Computed tomography of the spine. sagittal view. bone window. 531x786 px
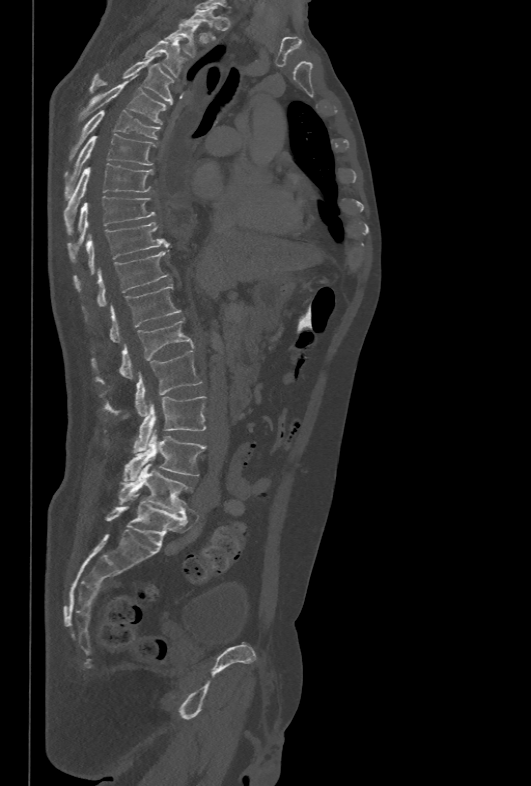
Box edges are left/top/right/bottom in pixels.
| vertebra | x1 | y1 | x2 | y2 |
|---|---|---|---|---|
| L5 | 119 | 463 | 191 | 515 |
| L4 | 123 | 429 | 205 | 481 |
| L3 | 133 | 396 | 205 | 452 |
| L2 | 107 | 350 | 201 | 415 |
| L1 | 92 | 319 | 193 | 381 |
| T12 | 110 | 284 | 182 | 343 |
| T11 | 96 | 248 | 169 | 306 |
| T10 | 74 | 222 | 168 | 290 |
| T9 | 66 | 196 | 155 | 262 |
| T8 | 64 | 163 | 153 | 234 |
| T7 | 64 | 134 | 156 | 200 |
| T6 | 68 | 109 | 160 | 159 |
| T5 | 78 | 80 | 167 | 124 |
| T4 | 89 | 54 | 173 | 104 |
| T3 | 144 | 36 | 186 | 77 |
| T2 | 163 | 23 | 199 | 56 |
| T1 | 184 | 9 | 220 | 40 |